CT spine · sagittal view · W/L 1800/400 HU · 350 mm image width
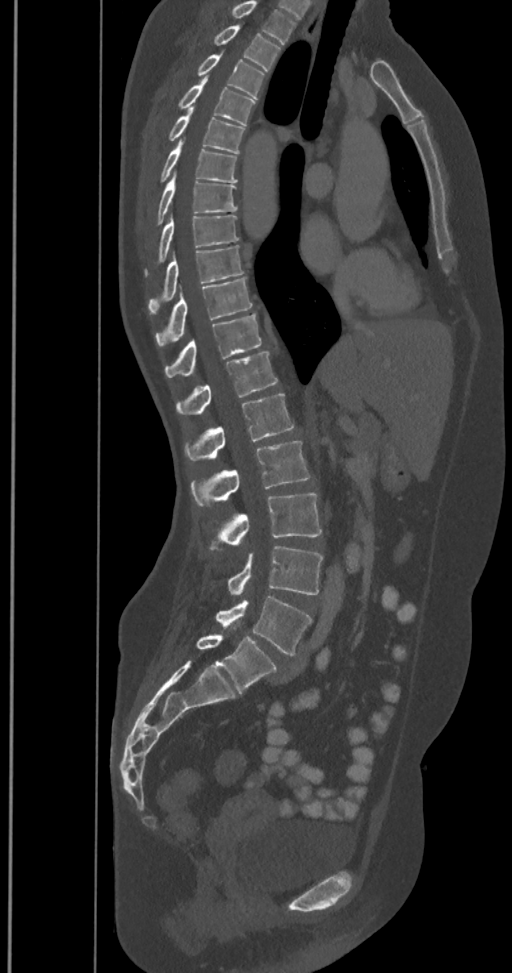

Columns x1, y1, x2, y2 give each box's top-left and bottom-right pixels.
Labels in this scan begin with T2 at the top and end with L6 at the bottom.
The labels name a sixth lumbar vertebra for this spine: L6, after L5.
| vertebra | x1 | y1 | x2 | y2 |
|---|---|---|---|---|
| L6 | 196 | 635 | 277 | 694 |
| L5 | 215 | 595 | 312 | 655 |
| L4 | 227 | 546 | 322 | 594 |
| L3 | 209 | 494 | 322 | 549 |
| L2 | 190 | 441 | 310 | 507 |
| L1 | 184 | 394 | 294 | 460 |
| T12 | 175 | 352 | 277 | 414 |
| T11 | 165 | 313 | 261 | 377 |
| T10 | 155 | 278 | 252 | 347 |
| T9 | 148 | 245 | 243 | 314 |
| T8 | 145 | 216 | 239 | 275 |
| T7 | 156 | 171 | 237 | 224 |
| T6 | 155 | 140 | 237 | 182 |
| T5 | 167 | 107 | 245 | 153 |
| T4 | 177 | 76 | 255 | 125 |
| T3 | 197 | 53 | 264 | 99 |
| T2 | 213 | 25 | 280 | 71 |